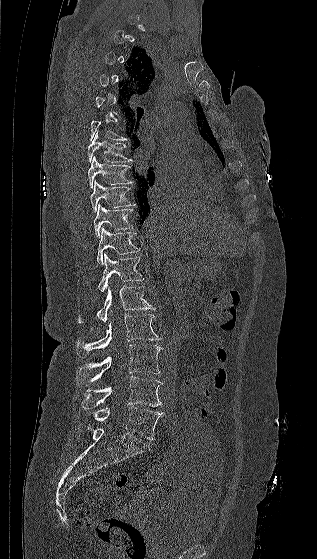

Computed tomography of the spine; sagittal view; W/L 1800/400 HU
Box values are [left, top, right, bottom] in pixels.
Each vertebra is boxed only on the slices from the first to the last where its cross-section reaches a third of its largest, so a slice outside that range leaves it unboxed.
{"vertebrae":{"L5":[92,406,164,440],"L4":[81,376,162,409],"L3":[77,344,162,385],"L2":[77,314,161,356],"L1":[77,286,155,323],"T12":[98,253,145,291],"T11":[97,227,140,264],"T10":[93,203,133,238],"T9":[90,180,135,213],"T8":[88,156,132,188],"T7":[88,132,132,162],"T6":[90,121,127,141]}}